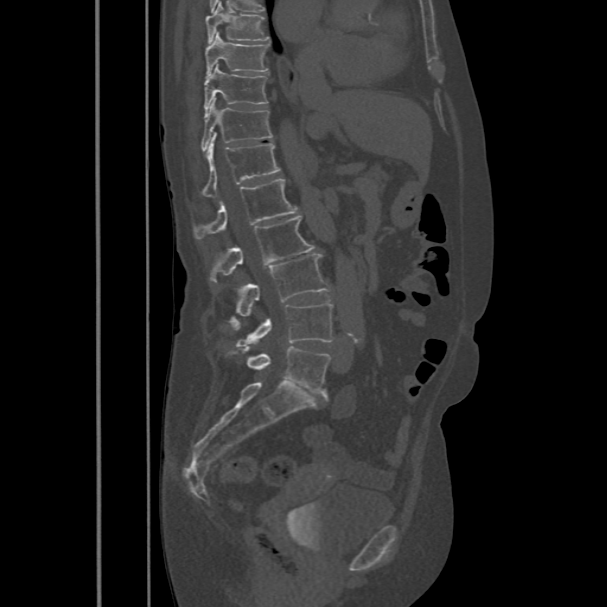
CT, spine; sagittal view

Each vertebra maps to its box as [x1, y1, x2, y2], the pixel coordinates of its top-left and bottom-right corners.
{"vertebrae":{"T8":[205,2,269,42],"T9":[205,32,268,76],"T10":[204,63,268,114],"T11":[200,98,272,151],"T12":[203,132,280,196],"L1":[193,178,298,239],"L2":[210,216,315,281],"L3":[229,253,330,326],"L4":[236,302,332,346],"L5":[243,346,330,395]}}